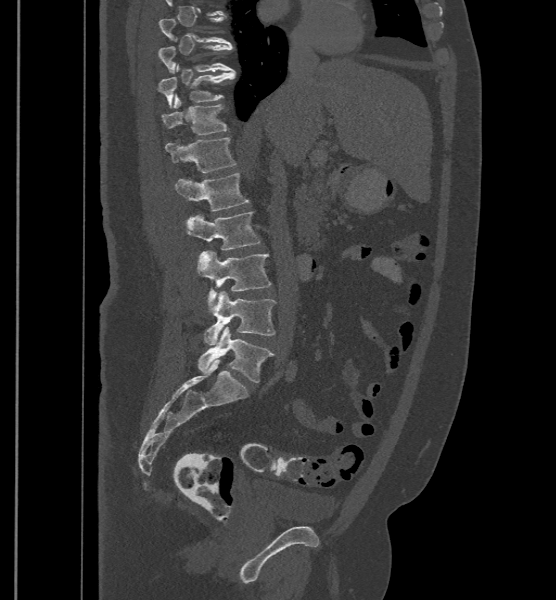
CT, spine. sagittal view. W/L 1800/400 HU

Box values are [left, top, right, bottom] in pixels.
This scan's labels start at T9 at the top and end at L6 at the bottom.
These labels give the spine a sixth lumbar vertebra, L6, below L5.
{"vertebrae":{"L6":[197,327,275,382],"L5":[204,291,276,345],"L4":[197,250,271,306],"L3":[187,211,261,250],"L2":[175,172,249,211],"L1":[165,138,237,172],"T12":[162,94,228,135],"T11":[157,64,236,108],"T10":[158,44,232,72],"T9":[158,18,231,47]}}